CT spine — sagittal plane, index 62 — 430x1568 px — scan covers 20 annotated vertebrae — 192 mm image width
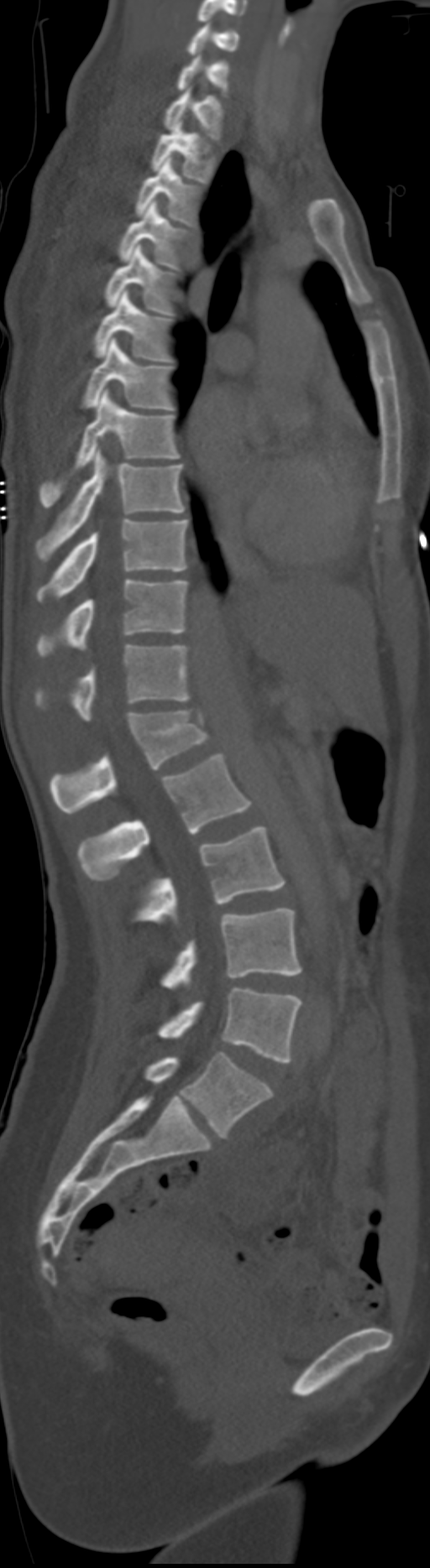 Bounding boxes as [x1, y1, x2, y2] in pixel coordinates.
The labels name a sixth lumbar vertebra for this spine: L6, after L5. In these labels the spine has no T12: the thoracic vertebrae end at T11, and L1 comes next.
C5: [186, 21, 239, 55]
C6: [176, 55, 228, 92]
C7: [164, 86, 224, 138]
T1: [150, 119, 215, 183]
T2: [135, 158, 199, 226]
T3: [118, 201, 187, 271]
T4: [104, 244, 176, 315]
T5: [95, 289, 172, 362]
T6: [83, 337, 172, 409]
T7: [39, 389, 179, 508]
T8: [37, 451, 184, 561]
T9: [37, 519, 188, 602]
T10: [37, 578, 188, 658]
T11: [35, 645, 191, 720]
L1: [50, 710, 208, 814]
L2: [77, 754, 252, 879]
L3: [135, 826, 285, 924]
L4: [162, 909, 302, 988]
L5: [158, 987, 302, 1062]
L6: [144, 1052, 271, 1136]